CT · Sagittal slice 326/512 · image 461 mm wide · W/L 1800/400 HU · 17 vertebrae labeled in this scan
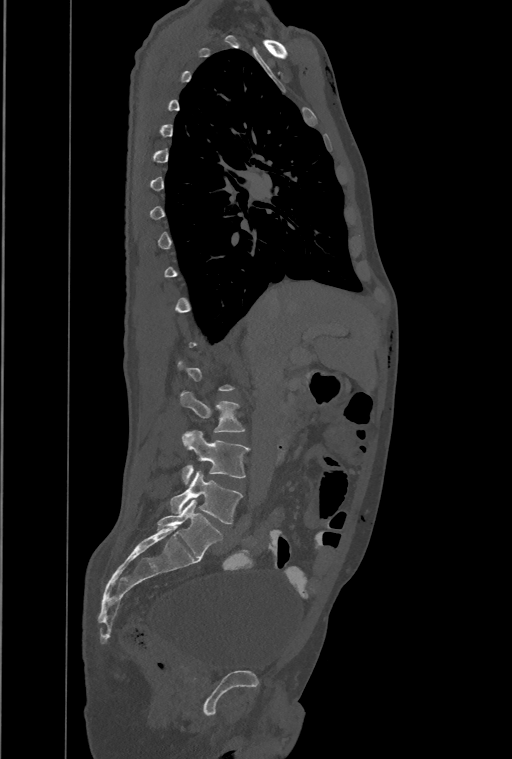

Each box given as x1,y1,x2,y2.
Not every vertebra on this slice has a box: a vertebra is boxed only from the first to the last slice where its cross-section is at least a third of its largest, and this slice is outside that range for at least one of them.
This scan's labels start at T1 at the top and end at L4 at the bottom.
Vertebra bounding boxes:
- L2: x1=181, y1=391, x2=245, y2=433
- L3: x1=182, y1=430, x2=249, y2=484
- L4: x1=171, y1=471, x2=242, y2=524